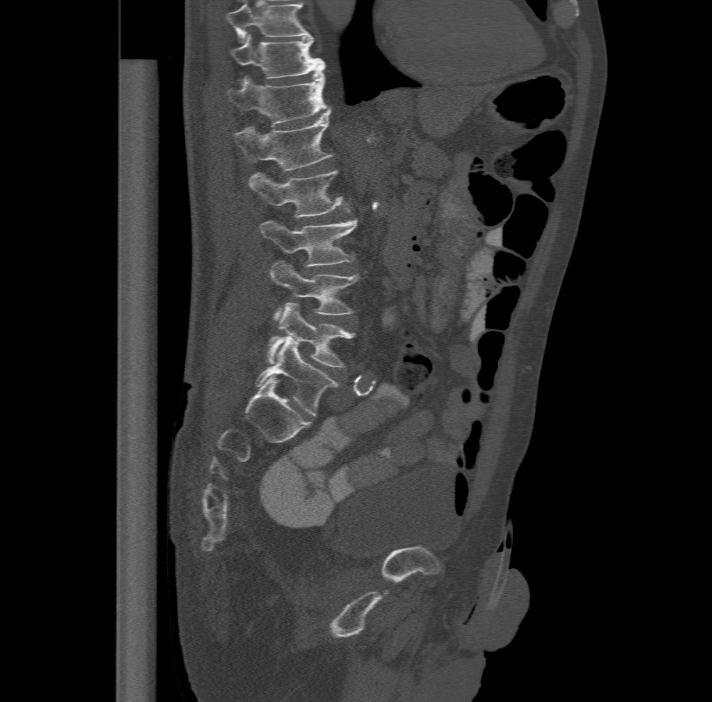

CT. the image spans 477 mm across. sagittal view. 712x702 px
Boxes: x1:y1:x2:y2 in pixels. The highest labeled vertebra in this scan is T11; the lowest is L6. These labels give the spine a sixth lumbar vertebra, L6, below L5. The labeled vertebrae in this slice are: L6 at 256:336:338:415, L5 at 267:302:354:367, L4 at 270:259:358:318, L3 at 260:218:358:266, L2 at 249:170:347:217, L1 at 234:109:331:169, T12 at 227:68:329:124, T11 at 229:33:324:76.